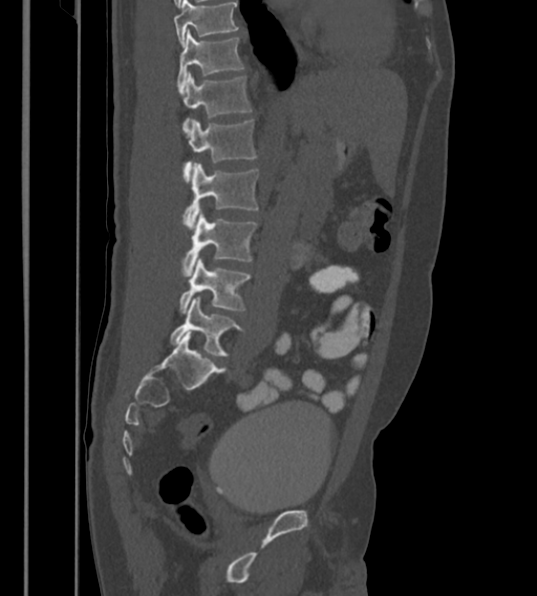

Computed tomography of the spine; sagittal view; W/L 1800/400 HU; 537x596 px. Each row gives a vertebra's box as x1, y1, x2, y2 in pixels: top-left corner, then bottom-right corner.
Labels in this scan begin with T12 at the top and end with L6 at the bottom.
In these labels the spine has an L6, a sixth lumbar vertebra below L5.
| vertebra | x1 | y1 | x2 | y2 |
|---|---|---|---|---|
| T12 | 177 | 29 | 242 | 89 |
| L1 | 182 | 72 | 252 | 131 |
| L2 | 182 | 119 | 256 | 181 |
| L3 | 184 | 162 | 258 | 225 |
| L4 | 182 | 210 | 256 | 276 |
| L5 | 180 | 256 | 250 | 313 |
| L6 | 170 | 297 | 241 | 356 |